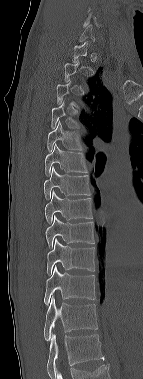

CT; sagittal view; W/L 1800/400 HU

Each box given as x1,y1,x2,y2.
A vertebra gets a box only on the slices from the first to the last where its cross-section is at least a third of its largest; on a slice outside that range it gets none.
This scan's labels start at C6 at the top and end at T12 at the bottom.
Vertebra bounding boxes:
- T4: x1=51, y1=101, x2=79, y2=128
- T5: x1=47, y1=121, x2=82, y2=152
- T6: x1=45, y1=143, x2=87, y2=176
- T7: x1=44, y1=166, x2=90, y2=199
- T8: x1=45, y1=191, x2=92, y2=225
- T9: x1=45, y1=216, x2=94, y2=249
- T10: x1=47, y1=238, x2=95, y2=276
- T11: x1=44, y1=266, x2=95, y2=306
- T12: x1=44, y1=296, x2=97, y2=341